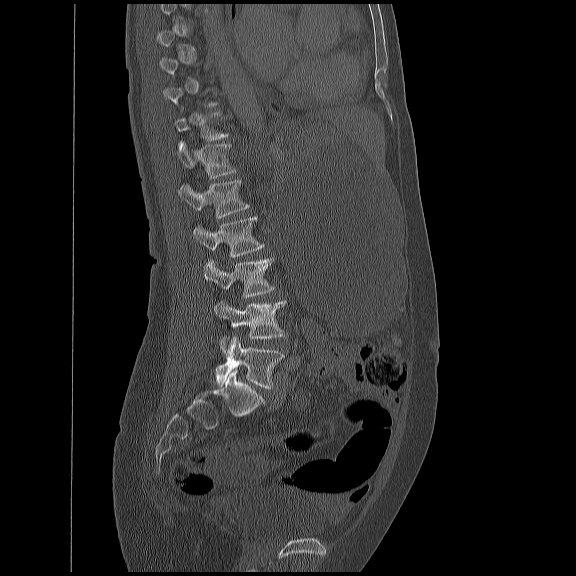
CT spine; sagittal view; Bone window (WL 400, WW 1800); 576x576 px
Each box given as x1,y1,x2,y2.
Not every vertebra on this slice has a box: a vertebra is boxed only from the first to the last slice where its cross-section is at least a third of its largest, and this slice is outside that range for at least one of them.
| vertebra | x1 | y1 | x2 | y2 |
|---|---|---|---|---|
| L5 | 215 | 336 | 283 | 388 |
| L4 | 213 | 300 | 286 | 354 |
| L3 | 203 | 257 | 274 | 298 |
| L2 | 192 | 216 | 264 | 256 |
| L1 | 177 | 179 | 248 | 217 |
| T12 | 174 | 140 | 235 | 178 |
| T11 | 172 | 111 | 228 | 139 |